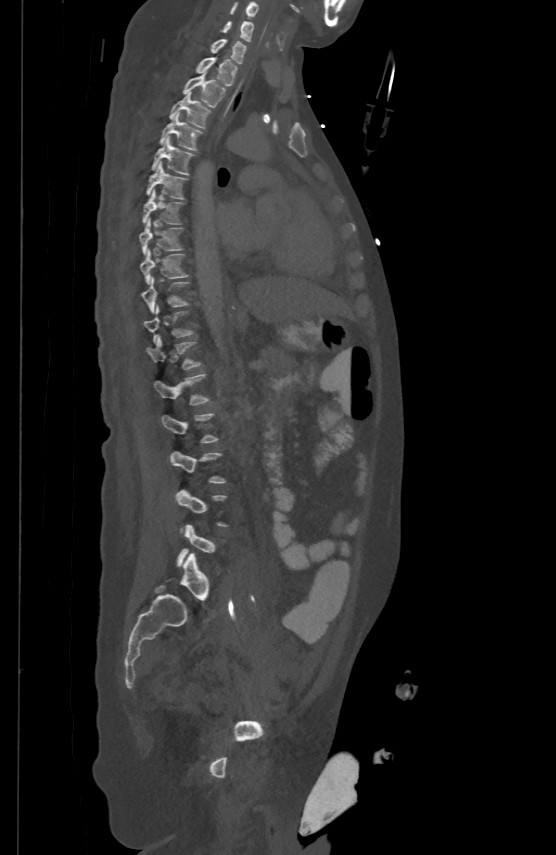
Computed tomography of the spine. the image is 500 mm wide. sagittal view
Each box given as x1,y1,x2,y2.
Not every vertebra on this slice has a box: a vertebra is boxed only from the first to the last slice where its cross-section is at least a third of its largest, and this slice is outside that range for at least one of them.
C5: x1=230, y1=1, x2=258, y2=16
C6: x1=219, y1=21, x2=253, y2=41
C7: x1=211, y1=37, x2=245, y2=63
T1: x1=195, y1=56, x2=237, y2=84
T2: x1=182, y1=72, x2=226, y2=106
T3: x1=169, y1=91, x2=211, y2=126
T4: x1=160, y1=112, x2=201, y2=149
T5: x1=151, y1=136, x2=193, y2=173
T6: x1=146, y1=161, x2=187, y2=199
T7: x1=142, y1=189, x2=182, y2=223
T8: x1=139, y1=217, x2=182, y2=253
T9: x1=140, y1=247, x2=188, y2=283
T10: x1=141, y1=276, x2=188, y2=312
T12: x1=146, y1=337, x2=200, y2=369
L1: x1=153, y1=373, x2=207, y2=403